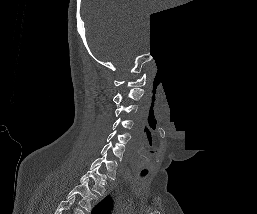 Computed tomography of the spine; sagittal view; some of the image was removed or blocked out with constant pixels

Each box given as x1,y1,x2,y2.
In this scan, the topmost labeled vertebra is C1 and the lowest is T1.
Vertebra bounding boxes:
- C1: x1=114, y1=74, x2=145, y2=87
- C2: x1=113, y1=88, x2=143, y2=103
- C3: x1=115, y1=104, x2=137, y2=116
- C4: x1=112, y1=118, x2=133, y2=129
- C5: x1=107, y1=130, x2=130, y2=145
- C6: x1=101, y1=141, x2=124, y2=161
- C7: x1=90, y1=153, x2=117, y2=179
- T1: x1=80, y1=165, x2=106, y2=195